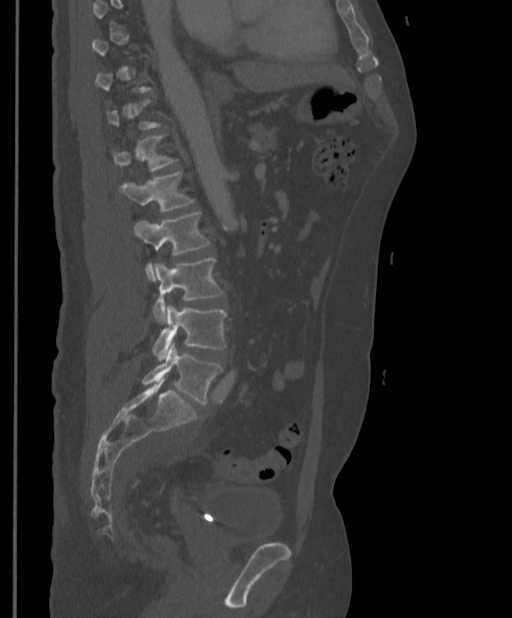

Computed tomography of the spine. sagittal view. 512x618 px

Each vertebra is boxed only on the slices from the first to the last where its cross-section reaches a third of its largest, so a slice outside that range leaves it unboxed.
<vertebrae><v name="T12" x1="112" y1="134" x2="177" y2="172"/><v name="L1" x1="117" y1="172" x2="195" y2="212"/><v name="L2" x1="133" y1="212" x2="209" y2="280"/><v name="L3" x1="152" y1="258" x2="223" y2="323"/><v name="L4" x1="152" y1="304" x2="226" y2="360"/><v name="L5" x1="142" y1="342" x2="222" y2="404"/></vertebrae>